Spine computed tomography — sagittal view — Bone window (WL 400, WW 1800)
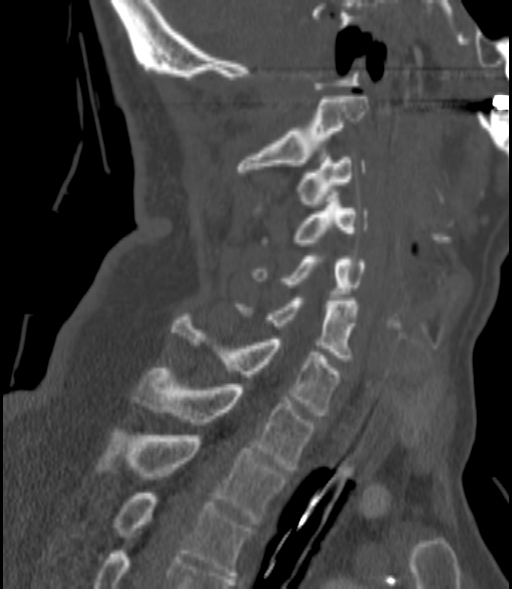

Boxes are given in columns x1, y1, x2, y2, the pixel coordinates of their top-left and bottom-right corners.
| vertebra | x1 | y1 | x2 | y2 |
|---|---|---|---|---|
| C2 | 237 | 96 | 368 | 172 |
| C3 | 298 | 157 | 366 | 207 |
| C4 | 293 | 198 | 368 | 245 |
| C5 | 252 | 256 | 366 | 297 |
| C6 | 236 | 298 | 356 | 361 |
| C7 | 172 | 314 | 340 | 415 |
| T1 | 131 | 368 | 315 | 469 |
| T2 | 96 | 429 | 287 | 524 |
| T3 | 113 | 493 | 251 | 578 |